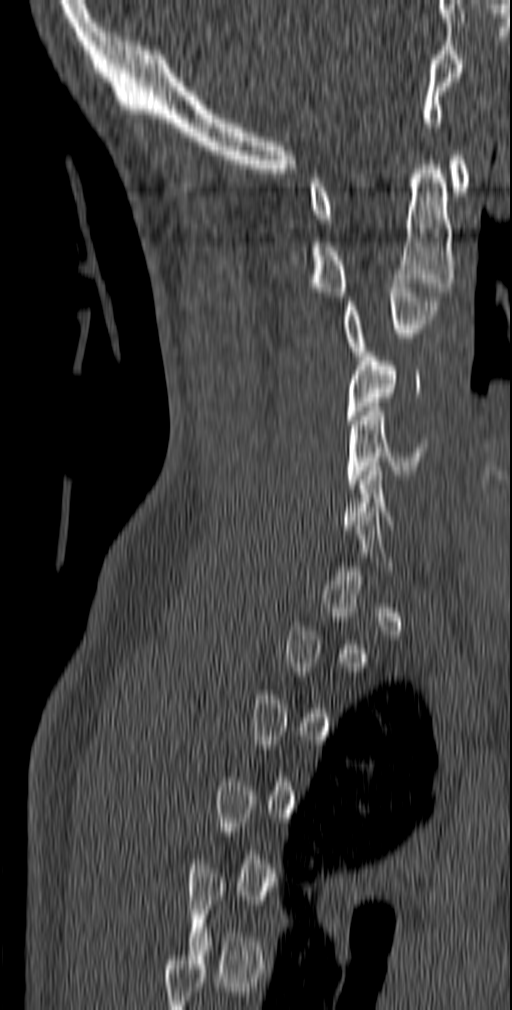 CT, spine. sagittal view
Each box is [x1, y1, x2, y2] in pixels: top-left corner, then bottom-right corner.
A vertebra is boxed only from the first to the last slice where its cross-section is at least a third of its largest; slices outside that range leave it without a box.
{"vertebrae":{"C1":[309,155,470,223],"C2":[309,160,454,301],"C3":[341,283,439,360],"C4":[346,352,421,424],"C5":[346,407,429,488]}}